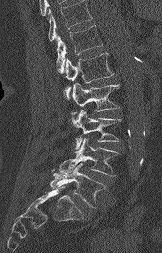

CT spine — sagittal view — Bone window (WL 400, WW 1800) — image width 162 mm. Bounding boxes as [x1, y1, x2, y2] in pixel coordinates.
A vertebra cut off by the top edge of the scan is not labeled and has no box.
Vertebra bounding boxes:
- T12: [56, 25, 102, 73]
- L1: [64, 52, 113, 98]
- L2: [72, 82, 119, 111]
- L3: [72, 110, 120, 149]
- L4: [59, 138, 118, 176]
- L5: [50, 163, 105, 208]